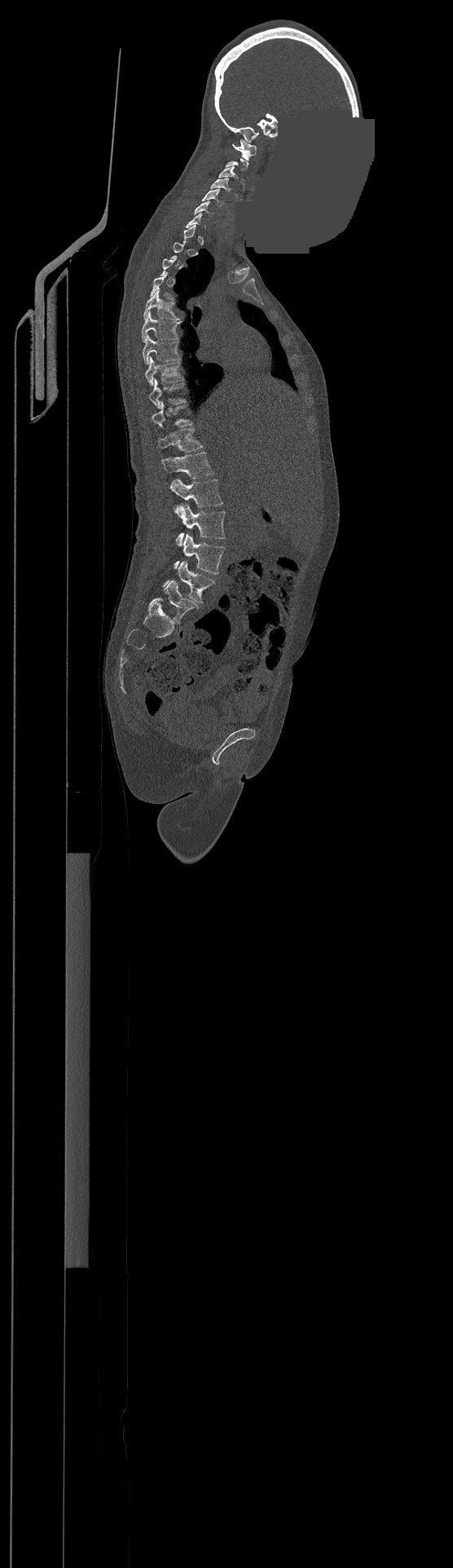 Spine CT — sagittal reformat — bone window — 453x1568 px — an area of the scan was removed and filled with constant pixels
Boxes are (x1, y1, x2, y2) in pixels. A vertebra is boxed only from the first to the last slice where its cross-section is at least a third of its largest; slices outside that range leave it without a box. The highest labeled vertebra in this scan is C1; the lowest is L4. 16 vertebrae labeled — L4 at (164, 560, 214, 603); L3 at (174, 534, 225, 573); L2 at (174, 503, 225, 545); L1 at (169, 479, 222, 510); T12 at (162, 452, 214, 478); T11 at (157, 428, 201, 452); T9 at (148, 379, 184, 408); T8 at (145, 358, 183, 385); T7 at (143, 336, 179, 364); T6 at (143, 313, 179, 342); T5 at (144, 290, 179, 320); C6 at (195, 201, 213, 215); C5 at (201, 189, 223, 205); C4 at (210, 179, 230, 191); C3 at (219, 166, 237, 179); C1 at (232, 139, 256, 160).